Spine computed tomography. Sagittal slice 107/182. 182x258 px
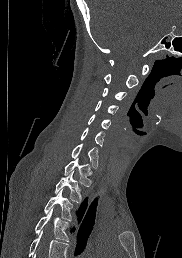 No box is given to a vertebra that the bottom edge of the scan cuts off.
<vertebrae><v name="C1" x1="109" y1="59" x2="149" y2="75"/><v name="C2" x1="104" y1="74" x2="138" y2="88"/><v name="C3" x1="102" y1="87" x2="126" y2="100"/><v name="C4" x1="95" y1="100" x2="118" y2="114"/><v name="C5" x1="87" y1="114" x2="111" y2="129"/><v name="C6" x1="80" y1="127" x2="104" y2="147"/><v name="C7" x1="71" y1="143" x2="98" y2="168"/><v name="T1" x1="64" y1="158" x2="91" y2="186"/><v name="T2" x1="55" y1="171" x2="82" y2="202"/><v name="T3" x1="44" y1="189" x2="72" y2="220"/><v name="T4" x1="35" y1="208" x2="69" y2="241"/></vertebrae>